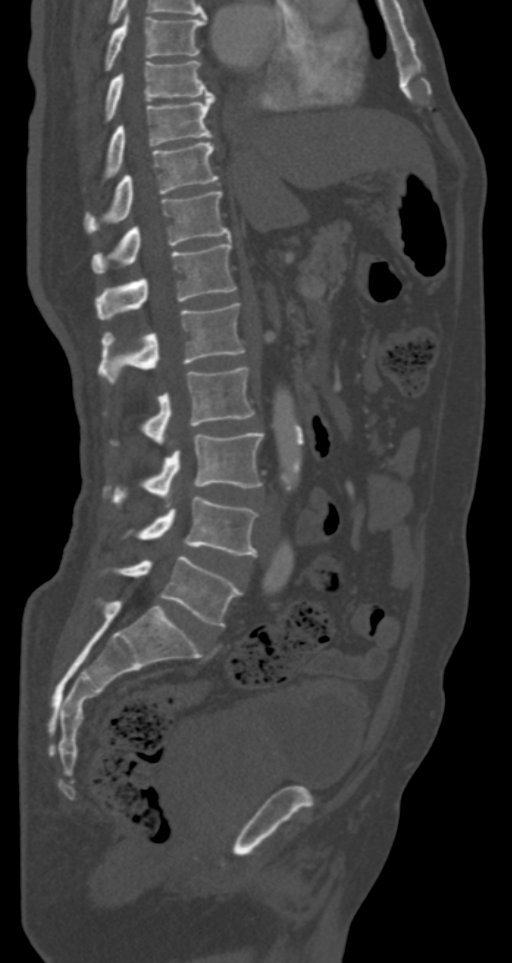

Spine CT — the image spans 287 mm across — sagittal view. Box edges are left/top/right/bottom in pixels.
Vertebra bounding boxes:
- L5: left=112, top=556, right=241, bottom=627
- L4: left=123, top=496, right=257, bottom=555
- L3: left=103, top=433, right=263, bottom=507
- L2: left=105, top=367, right=254, bottom=445
- L1: left=98, top=303, right=245, bottom=384
- T12: left=96, top=241, right=236, bottom=320
- T11: left=92, top=191, right=231, bottom=274
- T10: left=85, top=142, right=218, bottom=233
- T9: left=105, top=94, right=214, bottom=178
- T8: left=105, top=60, right=211, bottom=120
- T7: left=105, top=12, right=206, bottom=70